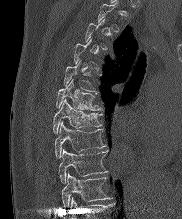

Computed tomography of the spine — sagittal reformat — 182x219 px
Each vertebra maps to its box as [x1, y1, x2, y2], the pixel coordinates of its top-left and bottom-right corners.
A vertebra gets a box only on the slices from the first to the last where its cross-section is at least a third of its largest; on a slice outside that range it gets none.
Labels in this scan begin with T2 at the top and end with T10 at the bottom.
{"vertebrae":{"T10":[61,174,108,207],"T9":[58,149,106,182],"T8":[54,122,105,157],"T7":[53,99,102,133],"T6":[56,79,100,110],"T5":[64,62,96,93]}}